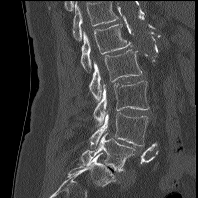
CT. sagittal view. W/L 1800/400 HU

Boxes: x1:y1:x2:y2 in pixels.
Labels in this scan begin with L1 at the top and end with L5 at the bottom.
L1: 80:24:131:72
L2: 89:50:142:100
L3: 93:81:149:124
L4: 90:113:148:145
L5: 81:133:134:171